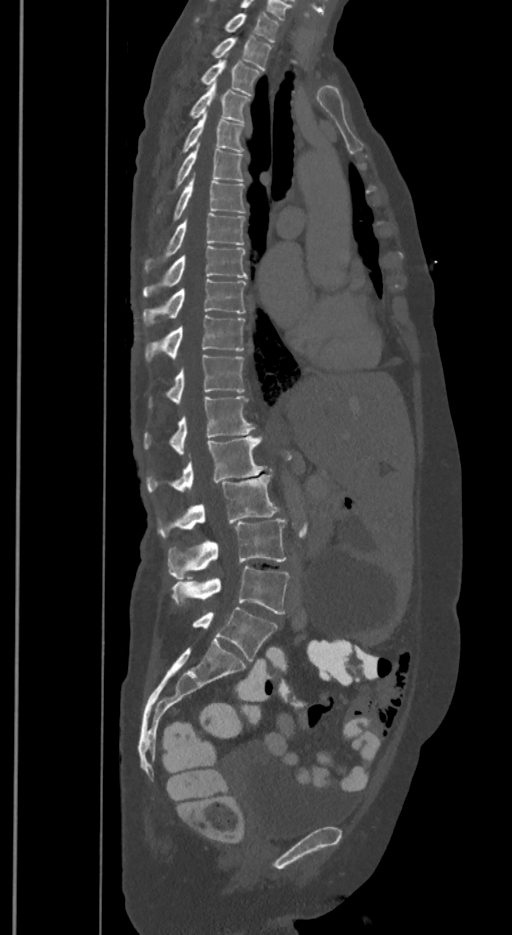
CT spine; sagittal reformat; W/L 1800/400 HU
Coordinates as <box>x1,y1,x2,y2</box>.
In these labels the spine has an L6, a sixth lumbar vertebra below L5.
Vertebra bounding boxes:
- L6: <box>193,607,277,660</box>
- L5: <box>172,566,288,614</box>
- L4: <box>168,517,285,578</box>
- L3: <box>158,474,278,537</box>
- L2: <box>146,436,266,493</box>
- L1: <box>145,396,255,455</box>
- T12: <box>149,354,245,407</box>
- T11: <box>145,315,245,361</box>
- T10: <box>143,279,246,326</box>
- T9: <box>143,246,246,297</box>
- T8: <box>145,212,245,272</box>
- T7: <box>174,175,245,220</box>
- T6: <box>175,144,243,186</box>
- T5: <box>183,113,245,152</box>
- T4: <box>190,83,249,121</box>
- T3: <box>202,54,259,94</box>
- T2: <box>212,36,271,69</box>
- T1: <box>196,12,278,41</box>